CT. image width 417 mm. sagittal reformat. Bone window (WL 400, WW 1800)
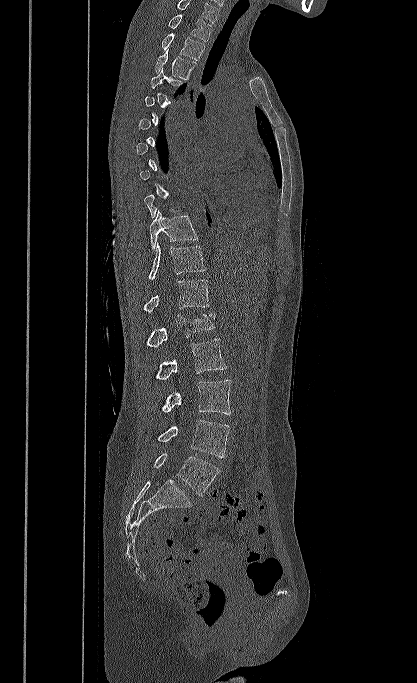 Boxes below are [x1, y1, x2, y2] in pixels.
Not every vertebra on this slice has a box: a vertebra is boxed only from the first to the last slice where its cross-section is at least a third of its largest, and this slice is outside that range for at least one of them.
This scan's labels start at T1 at the top and end at L5 at the bottom.
{"vertebrae":{"L5":[153,453,219,495],"L4":[157,420,229,457],"L3":[162,380,231,414],"L2":[155,338,226,379],"L1":[145,313,215,347],"T12":[143,280,209,312],"T11":[148,242,206,279],"T10":[150,210,197,249],"T4":[150,68,185,89],"T3":[155,49,196,80],"T2":[162,33,204,60],"T1":[168,14,211,41]}}